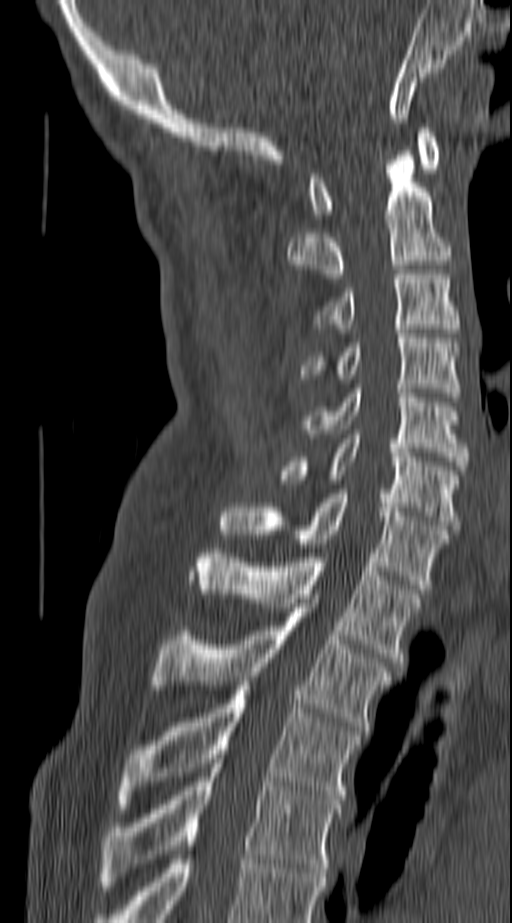

Spine CT. sagittal reformat

Boxes below are [x1, y1, x2, y2] in pixels.
{"vertebrae":{"C1":[309,128,439,218],"C2":[287,151,450,278],"C3":[316,274,457,328],"C4":[301,334,461,397],"C5":[300,389,468,470],"C6":[279,434,457,529],"C7":[221,494,450,589],"T1":[192,549,421,666],"T2":[151,603,392,730],"T3":[118,686,359,808],"T4":[100,763,340,890]}}